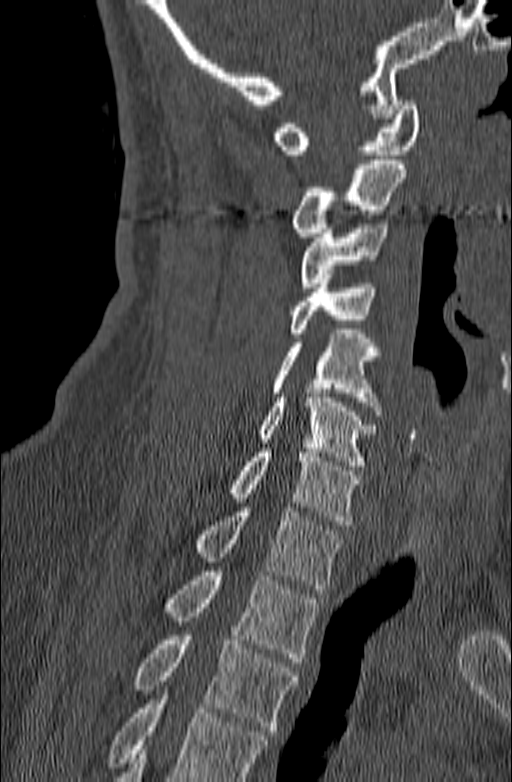 CT spine. sagittal view. Bone window (WL 400, WW 1800). image 140 mm wide
Coordinates as <box>x1,y1,x2,y2</box>. Vertebrae that run past the bottom of the scan are left unlabeled. The labeled vertebrae in this slice are: C1 at <box>272,101,420,154</box>, C2 at <box>290,160,406,237</box>, C3 at <box>299,219,388,287</box>, C4 at <box>290,279,377,337</box>, C5 at <box>272,334,382,415</box>, C6 at <box>257,393,377,465</box>, C7 at <box>228,448,359,525</box>, T1 at <box>192,507,344,589</box>, T2 at <box>164,571,318,662</box>, T3 at <box>133,631,299,735</box>.